Computed tomography of the spine — sagittal reformat — bone-window reconstruction
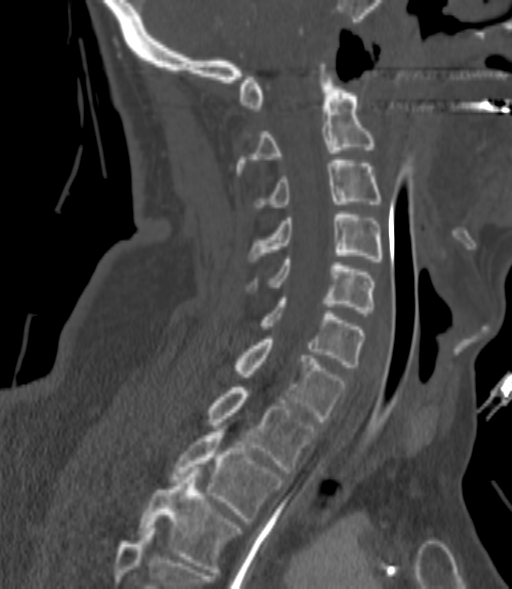
A vertebra gets a box only on the slices from the first to the last where its cross-section is at least a third of its largest; on a slice outside that range it gets none.
<vertebrae><v name="T3" x1="139" y1="470" x2="240" y2="572"/><v name="T2" x1="170" y1="429" x2="284" y2="524"/><v name="T1" x1="208" y1="387" x2="317" y2="473"/><v name="C7" x1="234" y1="339" x2="345" y2="421"/><v name="C6" x1="259" y1="298" x2="363" y2="367"/><v name="C5" x1="249" y1="259" x2="374" y2="313"/><v name="C4" x1="249" y1="211" x2="384" y2="261"/><v name="C3" x1="254" y1="160" x2="379" y2="210"/><v name="C2" x1="236" y1="74" x2="374" y2="172"/></vertebrae>